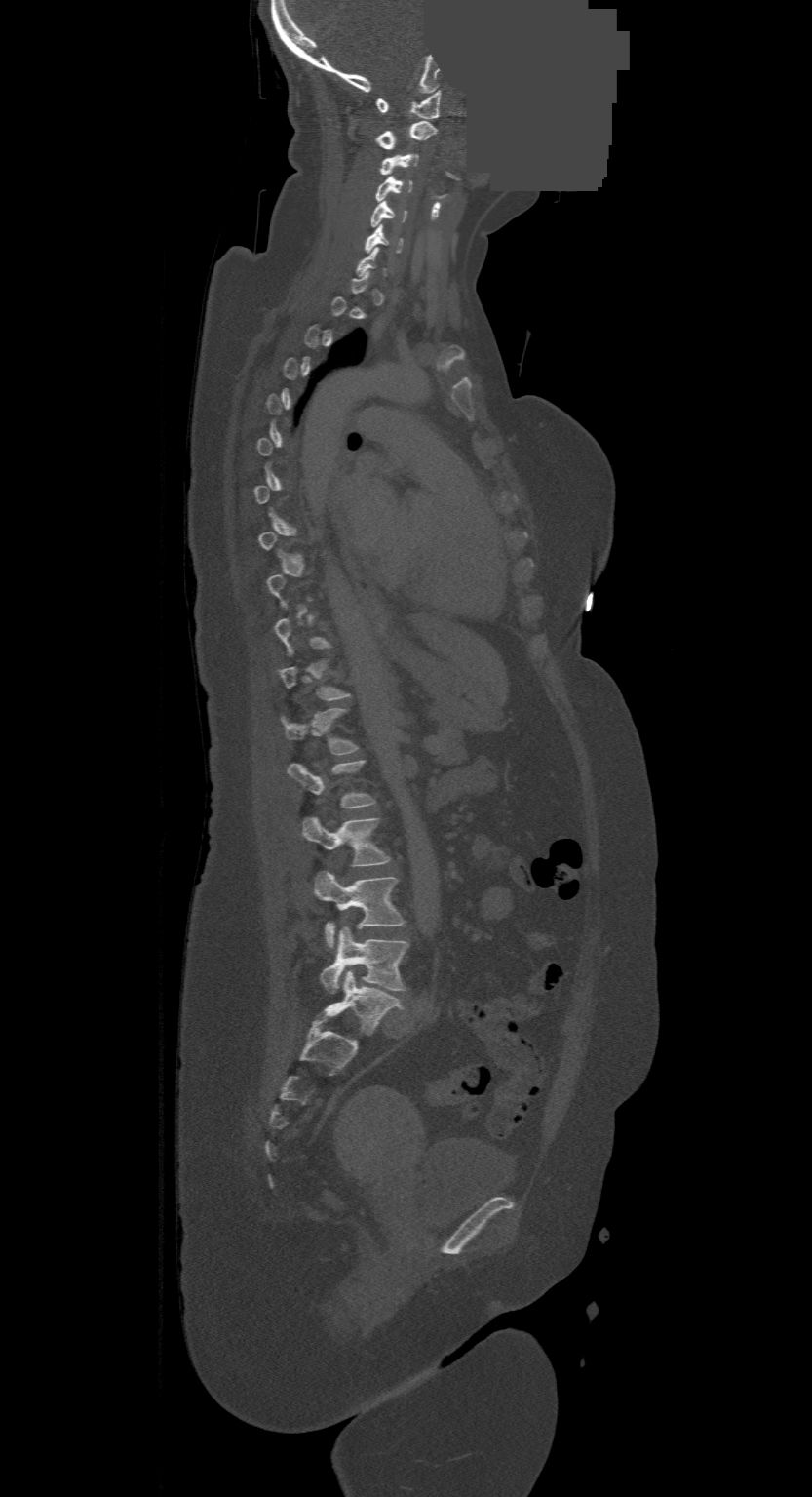 Computed tomography of the spine. sagittal view. Bone window (WL 400, WW 1800). a region is masked with a constant gray value
Boxes below are [x1, y1, x2, y2] in pixels.
A vertebra is boxed only from the first to the last slice where its cross-section is at least a third of its largest; slices outside that range leave it without a box.
In this scan, the topmost labeled vertebra is C1 and the lowest is L4.
{"vertebrae":{"C1":[377,90,442,118],"C2":[376,121,436,149],"C3":[381,153,418,175],"C4":[376,176,411,201],"C5":[369,200,406,227],"C6":[364,224,402,253],"T12":[281,707,356,754],"L1":[288,760,375,808],"L2":[301,818,389,866],"L3":[314,872,404,947],"L4":[321,926,408,993]}}